Computed tomography of the spine · 157 mm across the image · sagittal view · Bone window (WL 400, WW 1800)
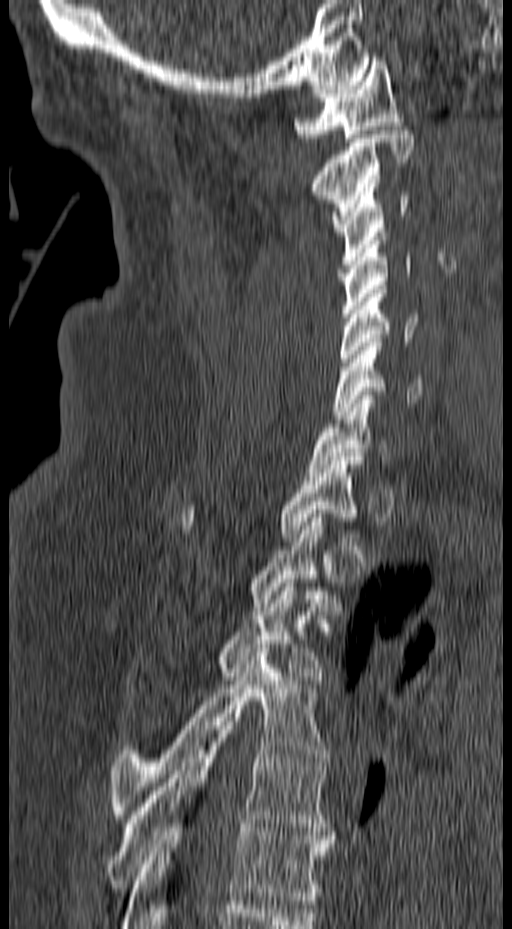
Boxes are (x1, y1, x2, y2) in pixels.
Vertebra bounding boxes:
- T6: (122, 819, 333, 928)
- T5: (105, 726, 337, 892)
- T4: (110, 648, 330, 818)
- T3: (138, 579, 326, 684)
- T2: (249, 514, 339, 610)
- T1: (177, 457, 363, 541)
- C7: (308, 391, 393, 476)
- C6: (331, 338, 421, 419)
- C5: (338, 285, 419, 370)
- C4: (342, 232, 411, 317)
- C3: (332, 183, 409, 268)
- C2: (311, 126, 414, 231)
- C1: (294, 57, 405, 142)